CT spine — Sagittal slice 158/357 — 17 vertebrae labeled in this scan
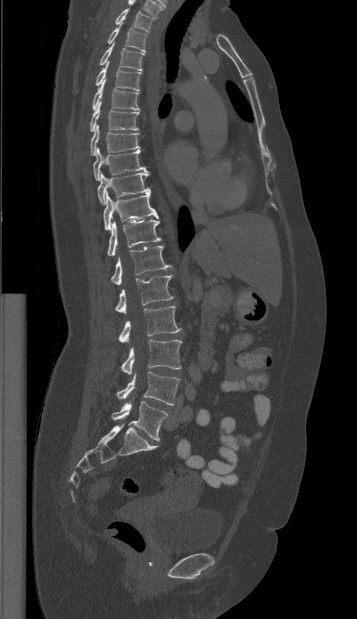

Each row gives a vertebra's box as x1, y1, x2, y2 in pixels: top-left corner, then bottom-right corner.
| vertebra | x1 | y1 | x2 | y2 |
|---|---|---|---|---|
| T1 | 115 | 9 | 156 | 32 |
| T2 | 107 | 23 | 146 | 52 |
| T3 | 99 | 43 | 144 | 70 |
| T4 | 95 | 61 | 141 | 91 |
| T5 | 92 | 79 | 139 | 110 |
| T6 | 90 | 101 | 138 | 131 |
| T7 | 90 | 124 | 139 | 155 |
| T8 | 93 | 148 | 148 | 180 |
| T9 | 98 | 172 | 150 | 204 |
| T10 | 103 | 192 | 158 | 230 |
| T11 | 107 | 220 | 161 | 256 |
| T12 | 111 | 246 | 171 | 285 |
| L1 | 115 | 275 | 173 | 313 |
| L2 | 118 | 306 | 181 | 342 |
| L3 | 121 | 339 | 181 | 374 |
| L4 | 116 | 372 | 179 | 405 |
| L5 | 111 | 401 | 168 | 440 |